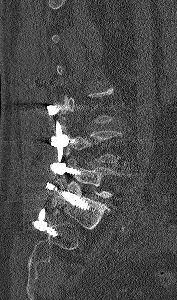
CT; sagittal reformat; the image spans 177 mm across; 177x300 px
Each box given as x1,y1,x2,y2.
A vertebra gets a box only on the slices from the first to the last where its cross-section is at least a third of its largest; on a slice outside that range it gets none.
| vertebra | x1 | y1 | x2 | y2 |
|---|---|---|---|---|
| L4 | 68 | 131 | 129 | 169 |
| L5 | 64 | 156 | 129 | 197 |